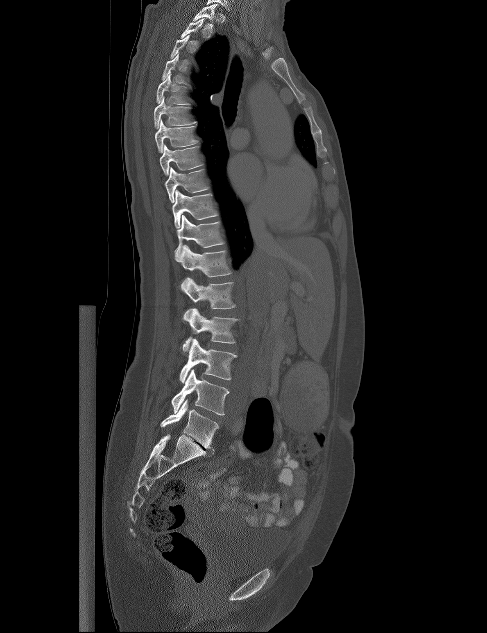 CT spine; sagittal view
A vertebra is boxed only from the first to the last slice where its cross-section is at least a third of its largest; slices outside that range leave it without a box.
<vertebrae><v name="L5" x1="160" y1="399" x2="218" y2="451"/><v name="L4" x1="171" y1="369" x2="229" y2="415"/><v name="L3" x1="179" y1="338" x2="237" y2="383"/><v name="L2" x1="183" y1="308" x2="239" y2="351"/><v name="L1" x1="181" y1="277" x2="235" y2="316"/><v name="T12" x1="175" y1="245" x2="231" y2="277"/><v name="T11" x1="174" y1="215" x2="224" y2="257"/><v name="T10" x1="172" y1="190" x2="218" y2="228"/><v name="T9" x1="164" y1="167" x2="209" y2="202"/><v name="T8" x1="159" y1="144" x2="203" y2="175"/><v name="T7" x1="155" y1="119" x2="198" y2="153"/><v name="T6" x1="154" y1="96" x2="196" y2="129"/><v name="T5" x1="156" y1="74" x2="190" y2="104"/><v name="T4" x1="161" y1="54" x2="189" y2="85"/><v name="T1" x1="193" y1="4" x2="217" y2="32"/></vertebrae>